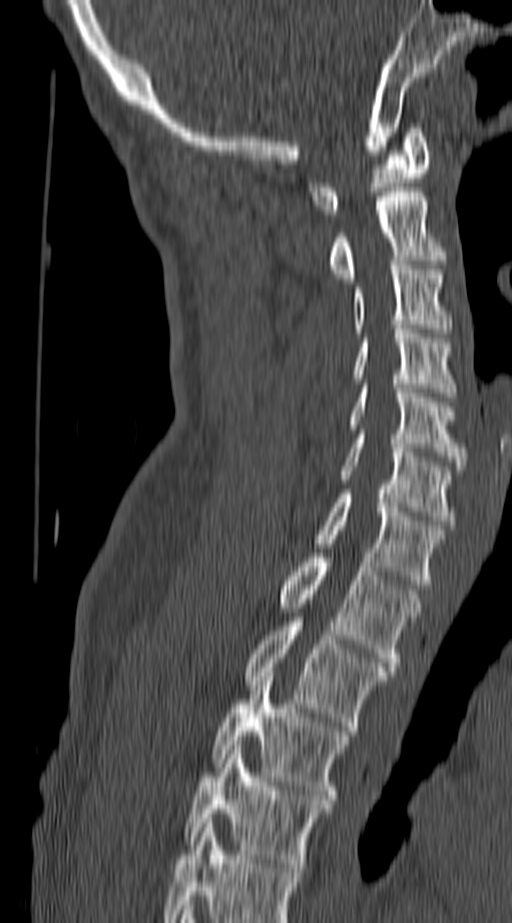
Spine computed tomography; sagittal view; bone window; 512x923 px. Boxes: x1 y1 x2 y2 (pixel coords, space-separated).
Labels in this scan begin with C1 at the top and end with T4 at the bottom.
C1: 309 128 432 214
C2: 327 192 447 282
C3: 352 265 450 328
C4: 352 329 457 397
C5: 349 384 468 470
C6: 338 434 454 525
C7: 312 494 447 584
T1: 279 553 421 666
T2: 243 622 388 730
T3: 210 672 351 804
T4: 184 745 333 872